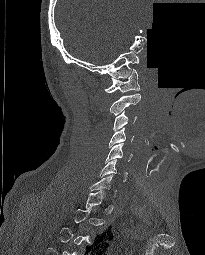 CT, spine · sagittal reformat · 205x255 px · part of the scan has been removed (filled with constant black)

Each row gives a vertebra's box as x1, y1, x2, y2 in pixels: top-left corner, then bottom-right corner.
A vertebra gets a box only on the slices from the first to the last where its cross-section is at least a third of its largest; on a slice outside that range it gets none.
| vertebra | x1 | y1 | x2 | y2 |
|---|---|---|---|---|
| C1 | 104 | 69 | 140 | 93 |
| C2 | 110 | 93 | 140 | 115 |
| C3 | 113 | 110 | 137 | 130 |
| C4 | 109 | 127 | 133 | 147 |
| C5 | 105 | 143 | 132 | 163 |
| C6 | 100 | 159 | 127 | 182 |